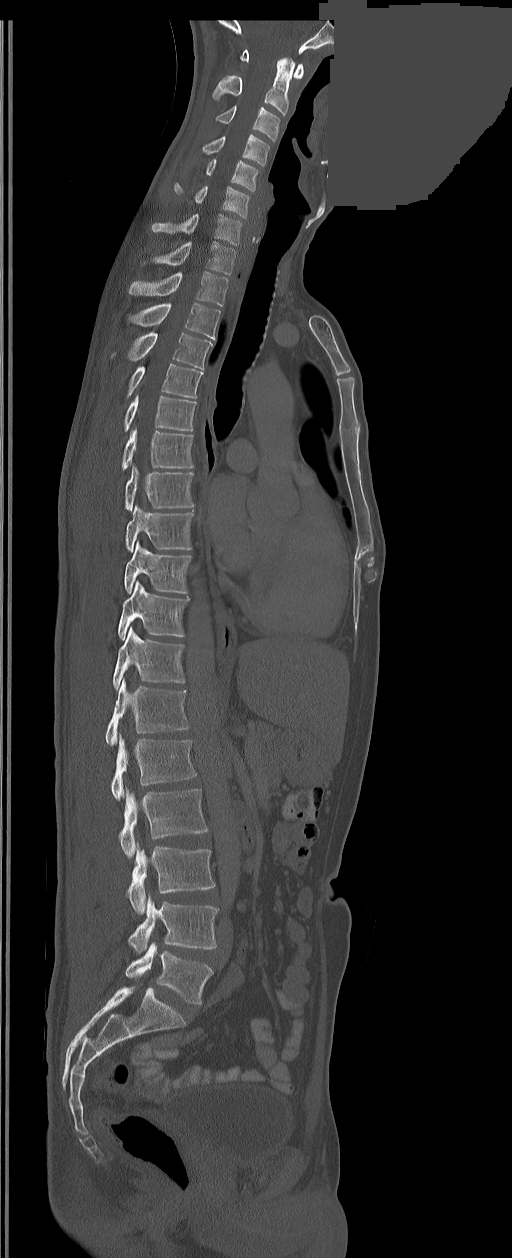
CT — sagittal view — bone window — 512x1258 px — a region of this slice is masked with a uniform fill

Each vertebra maps to its box as [x1, y1, x2, y2], the pixel coordinates of its top-left and bottom-right corners.
In these labels the spine has an L6, a sixth lumbar vertebra below L5.
{"vertebrae":{"C1":[240,49,304,78],"C2":[212,57,295,115],"C3":[215,106,279,141],"C4":[202,135,268,166],"C5":[206,160,257,191],"C6":[174,183,249,217],"C7":[152,214,241,245],"T1":[154,242,235,274],"T2":[129,271,227,306],"T3":[129,303,220,339],"T4":[111,332,211,369],"T5":[128,363,203,397],"T6":[125,395,195,431],"T7":[122,429,192,470],"T8":[125,465,194,510],"T9":[125,505,194,551],"T10":[125,541,191,593],"T11":[117,581,188,640],"T12":[113,626,185,690],"L1":[106,679,188,745],"L2":[110,736,195,799],"L3":[119,789,207,858],"L4":[126,844,214,913],"L5":[128,895,217,953],"L6":[126,942,213,1004]}}